Spine CT. Sagittal slice 262/512. image width 397 mm. bone window. scan covers 9 annotated vertebrae
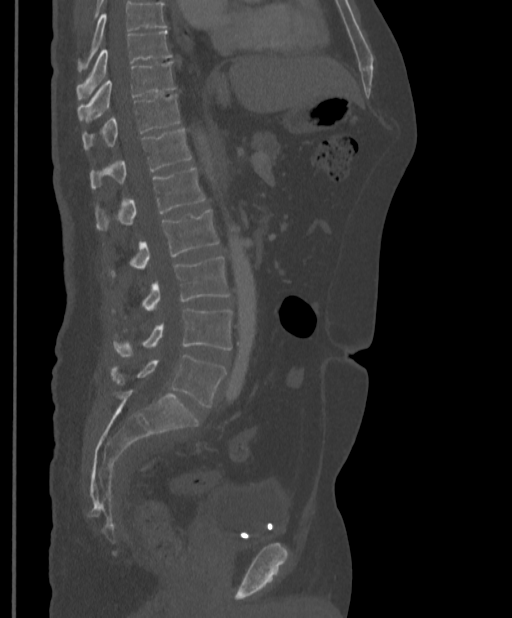
Each box given as x1,y1,x2,y2.
Where the top of the scan cuts through a vertebra, that vertebra gets no label or box.
| vertebra | x1 | y1 | x2 | y2 |
|---|---|---|---|---|
| T9 | 76 | 31 | 172 | 98 |
| T10 | 77 | 61 | 176 | 123 |
| T11 | 82 | 94 | 179 | 150 |
| T12 | 90 | 128 | 191 | 189 |
| L1 | 95 | 168 | 205 | 230 |
| L2 | 109 | 209 | 219 | 276 |
| L3 | 142 | 257 | 231 | 310 |
| L4 | 113 | 308 | 232 | 356 |
| L5 | 111 | 355 | 226 | 407 |